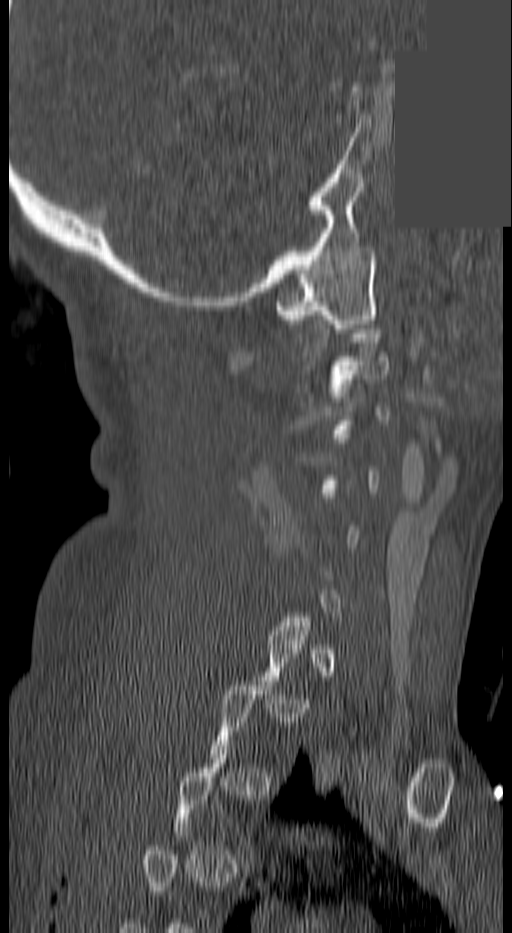 CT, spine. sagittal view. Bone window (WL 400, WW 1800). the image is 140 mm wide. 512x933 px. some of the image was removed or blocked out with constant pixels. Coordinates as <box>x1,y1,x2,y2</box>. Each vertebra is boxed only on the slices from the first to the last where its cross-section reaches a third of its largest, so a slice outside that range leaves it unboxed. Vertebrae labeled: C1 at <box>272,247,377,328</box>, C2 at <box>327,320,388,401</box>.